CT; the image spans 165 mm across; sagittal view; scan covers 10 annotated vertebrae
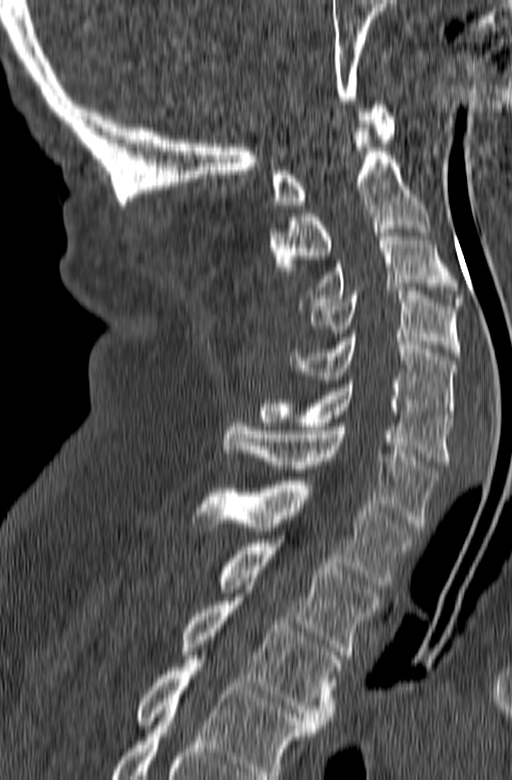 Boxes: x1:y1:x2:y2 in pixels. In this scan, the topmost labeled vertebra is C1 and the lowest is T3. 10 vertebrae labeled — T3 at 181:597:342:728; T2 at 218:539:379:658; T1 at 191:477:416:585; C7 at 221:419:438:527; C6 at 259:380:452:464; C5 at 290:334:456:418; C4 at 308:291:461:356; C3 at 299:229:464:309; C2 at 268:120:430:274; C1 at 272:101:394:208.